Computed tomography of the spine. image width 412 mm. sagittal reformat. Bone window (WL 400, WW 1800)
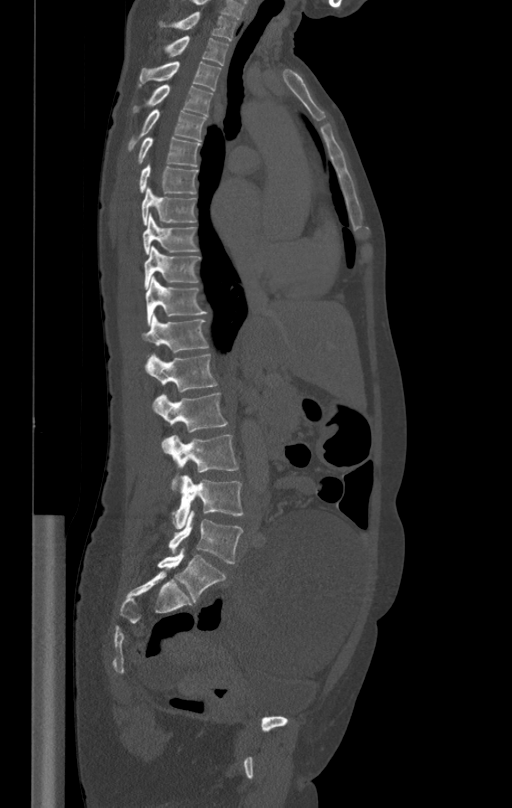

Boxes are given in columns x1, y1, x2, y2, the pixel coordinates of their top-left and bottom-right corners.
| vertebra | x1 | y1 | x2 | y2 |
|---|---|---|---|---|
| T1 | 159 | 12 | 237 | 39 |
| T2 | 164 | 36 | 229 | 65 |
| T3 | 138 | 60 | 220 | 91 |
| T4 | 133 | 84 | 213 | 115 |
| T5 | 128 | 110 | 205 | 150 |
| T6 | 138 | 136 | 200 | 167 |
| T7 | 139 | 163 | 198 | 194 |
| T8 | 142 | 188 | 196 | 225 |
| T9 | 143 | 215 | 198 | 254 |
| T10 | 144 | 246 | 200 | 289 |
| T11 | 145 | 277 | 206 | 324 |
| T12 | 143 | 315 | 208 | 351 |
| L1 | 145 | 353 | 218 | 392 |
| L2 | 151 | 393 | 228 | 452 |
| L3 | 161 | 435 | 239 | 490 |
| L4 | 173 | 475 | 244 | 528 |
| L5 | 169 | 510 | 242 | 563 |